CT, spine. sagittal plane, index 65. 353 mm wide. W/L 1800/400 HU. 512x747 px
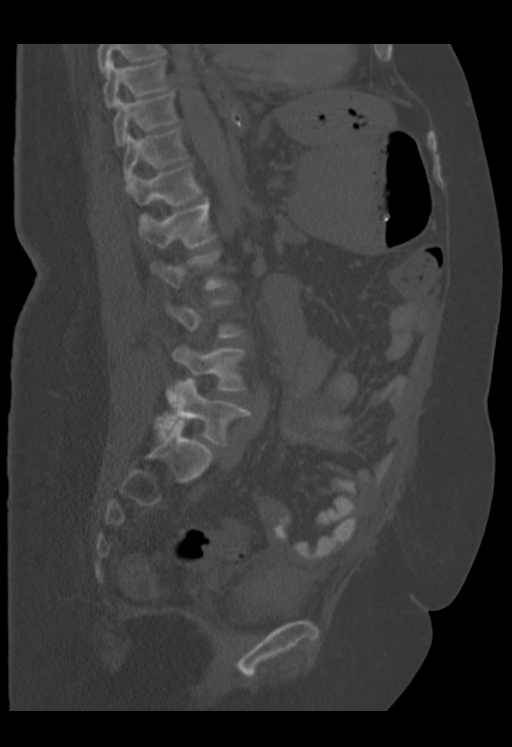
Boxes below are [x1, y1, x2, y2] in pixels.
A vertebra gets a box only on the slices from the first to the last where its cross-section is at least a third of its largest; on a slice outside that range it gets none.
Labels in this scan begin with T9 at the top and end with L5 at the bottom.
{"vertebrae":{"T9":[103,58,168,108],"T10":[113,90,178,146],"T11":[124,128,187,186],"T12":[126,164,202,205],"L1":[139,196,215,247],"L2":[149,249,228,290],"L4":[172,345,246,391],"L5":[163,377,251,445]}}